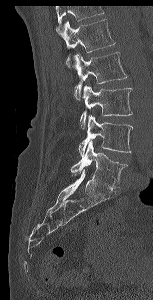 CT spine; sagittal view; the image spans 153 mm across; 153x300 px
Boxes below are [x1, y1, x2, y2] in pixels.
No box is given to a vertebra that the top edge of the scan cuts off.
{"vertebrae":{"L5":[71,142,127,189],"L4":[78,114,132,156],"L3":[80,84,132,129],"L2":[73,52,127,99],"L1":[56,19,115,66]}}